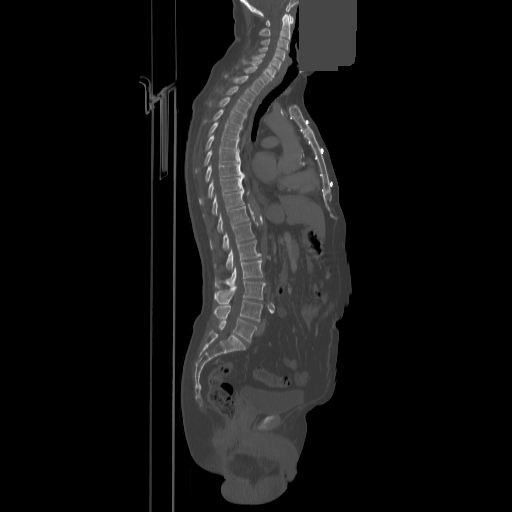
Computed tomography of the spine · sagittal view · 512x512 px · an area of the scan was removed and filled with constant pixels
Boxes: x1:y1:x2:y2 in pixels.
C1: 266:14:293:26
C2: 259:14:290:38
C3: 261:37:289:50
C4: 259:47:285:60
C5: 253:53:281:70
C6: 242:59:276:76
C7: 245:66:273:84
T1: 225:75:262:94
T2: 227:86:255:104
T3: 219:97:249:115
T4: 213:109:245:126
T5: 208:122:241:138
T6: 205:135:239:150
T7: 196:149:239:171
T8: 205:164:243:181
T9: 199:174:244:203
T10: 212:189:244:214
T11: 217:205:249:232
T12: 210:222:254:250
L1: 226:240:260:270
L2: 215:259:262:287
L3: 214:280:265:304
L4: 214:300:262:321
L5: 217:318:256:342